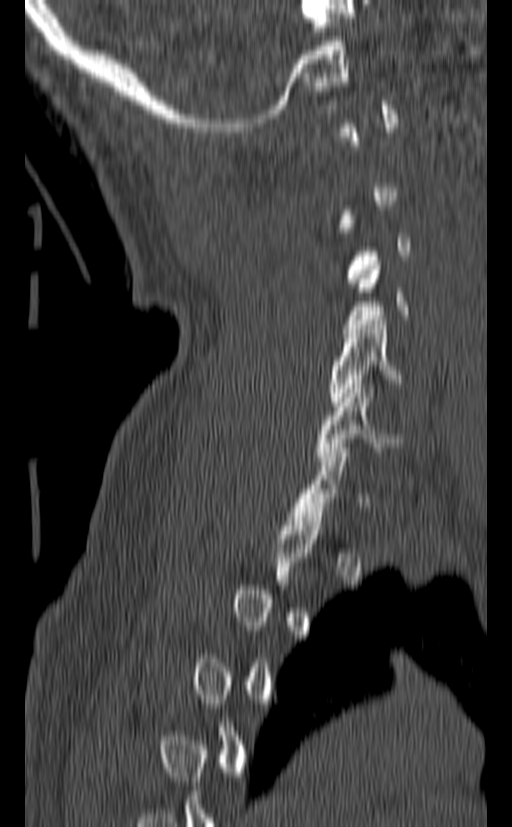

CT, spine; sagittal view
Each box given as x1,y1,x2,y2.
Each vertebra is boxed only on the slices from the first to the last where its cross-section reaches a third of its largest, so a slice outside that range leaves it unboxed.
C4: x1=343, y1=261, x2=408, y2=333
C5: x1=327, y1=320, x2=406, y2=406
C6: x1=317, y1=384, x2=409, y2=465